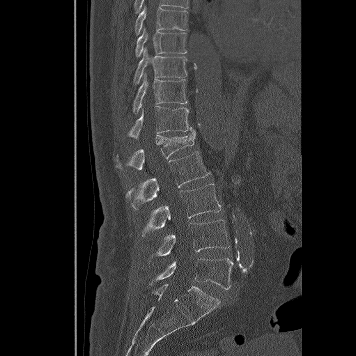
CT, spine. sagittal reformat. bone window

Columns x1, y1, x2, y2 give each box's top-left and bottom-right pixels.
| vertebra | x1 | y1 | x2 | y2 |
|---|---|---|---|---|
| L5 | 149 | 258 | 233 | 289 |
| L4 | 149 | 219 | 229 | 261 |
| L3 | 142 | 184 | 221 | 236 |
| L2 | 126 | 151 | 211 | 210 |
| L1 | 116 | 130 | 195 | 169 |
| T12 | 127 | 106 | 191 | 140 |
| T11 | 133 | 74 | 187 | 112 |
| T10 | 133 | 47 | 187 | 84 |
| T9 | 135 | 29 | 186 | 56 |
| T8 | 135 | 5 | 188 | 35 |